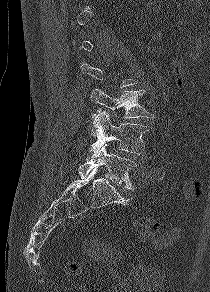

Spine CT. sagittal view. bone-window reconstruction

Each vertebra is boxed only on the slices from the first to the last where its cross-section reaches a third of its largest, so a slice outside that range leaves it unboxed.
<vertebrae><v name="L5" x1="78" y1="143" x2="136" y2="189"/><v name="L4" x1="86" y1="110" x2="148" y2="159"/><v name="L3" x1="90" y1="88" x2="153" y2="118"/></vertebrae>